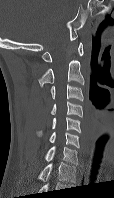 Spine computed tomography — sagittal view — the image spans 114 mm across. In the table, x1 and y1 are a box's top-left corner and x2 and y2 its bottom-right corner, in pixels.
This scan's labels start at C1 at the top and end at C7 at the bottom.
| vertebra | x1 | y1 | x2 | y2 |
|---|---|---|---|---|
| C7 | 45 | 146 | 77 | 164 |
| C6 | 49 | 131 | 79 | 147 |
| C5 | 36 | 117 | 81 | 136 |
| C4 | 51 | 100 | 82 | 117 |
| C3 | 50 | 83 | 83 | 101 |
| C2 | 38 | 60 | 84 | 86 |
| C1 | 41 | 42 | 83 | 61 |